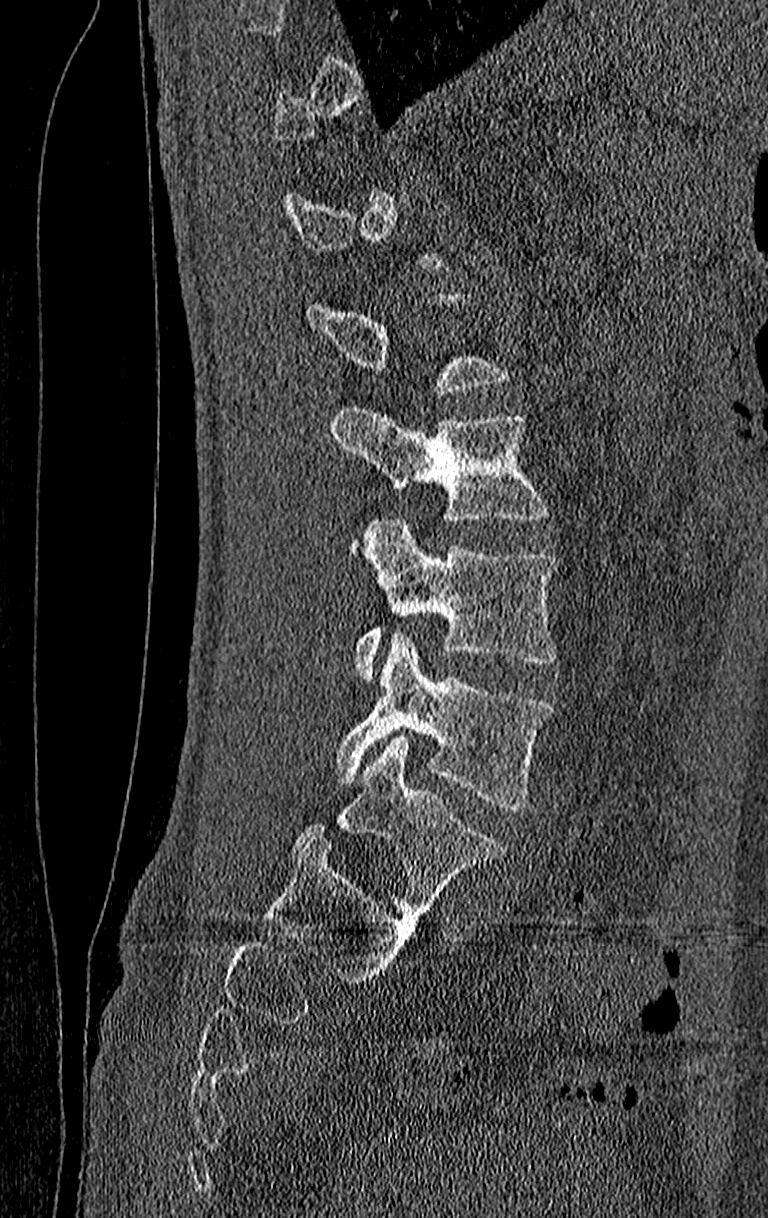 CT — sagittal reformat

Boxes are (x1, y1, x2, y2) in pixels.
A vertebra is boxed only from the first to the last slice where its cross-section is at least a third of its largest; slices outside that range leave it without a box.
In this scan, the topmost labeled vertebra is T11 and the lowest is L4.
L4: (335, 634, 554, 809)
L3: (353, 517, 557, 680)
L2: (331, 406, 550, 522)